CT, spine. sagittal view. 512x963 px
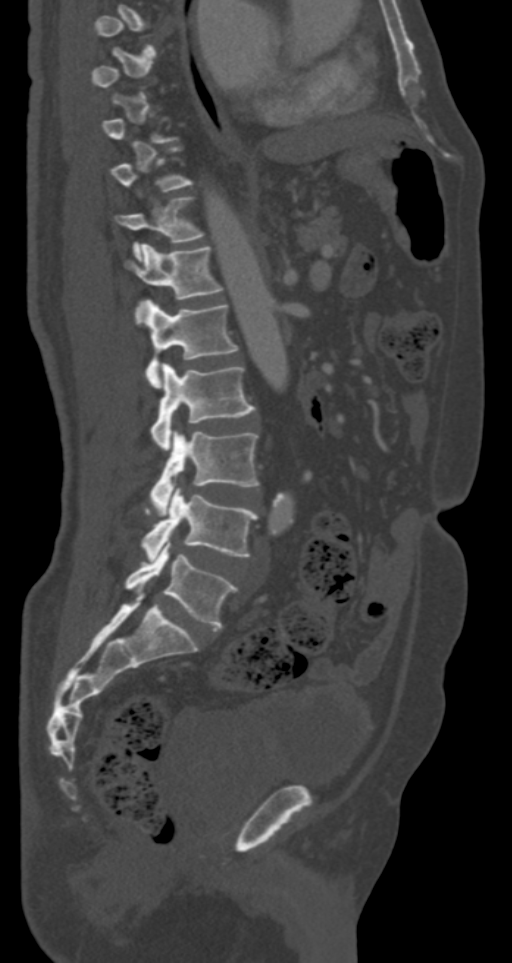
Boxes are given in columns x1, y1, x2, y2, the pixel coordinates of their top-left and bottom-right corners.
A vertebra gets a box only on the slices from the first to the last where its cross-section is at least a third of its largest; on a slice outside that range it gets none.
| vertebra | x1 | y1 | x2 | y2 |
|---|---|---|---|---|
| L5 | 124 | 538 | 238 | 628 |
| L4 | 141 | 487 | 259 | 561 |
| L3 | 149 | 430 | 259 | 511 |
| L2 | 151 | 363 | 255 | 450 |
| L1 | 135 | 300 | 238 | 386 |
| T12 | 124 | 244 | 222 | 299 |
| T11 | 116 | 197 | 202 | 260 |